Computed tomography of the spine · sagittal reformat · W/L 1800/400 HU · 512x705 px
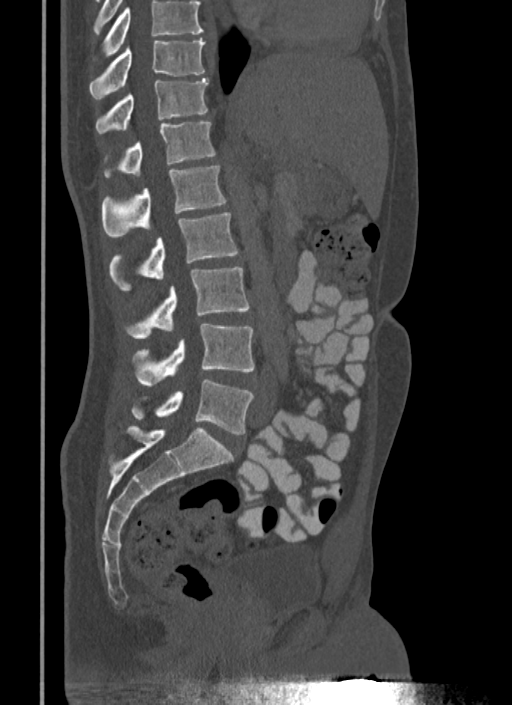 Boxes: x1 y1 x2 y2 (pixel coords, space-separated).
No box is given to a vertebra that the top edge of the scan cuts off.
L5: 131 379 253 434
L4: 131 324 255 386
L3: 123 267 249 338
L2: 110 212 238 290
L1: 102 166 226 237
T12: 104 122 216 178
T11: 95 78 208 133
T10: 89 38 205 98